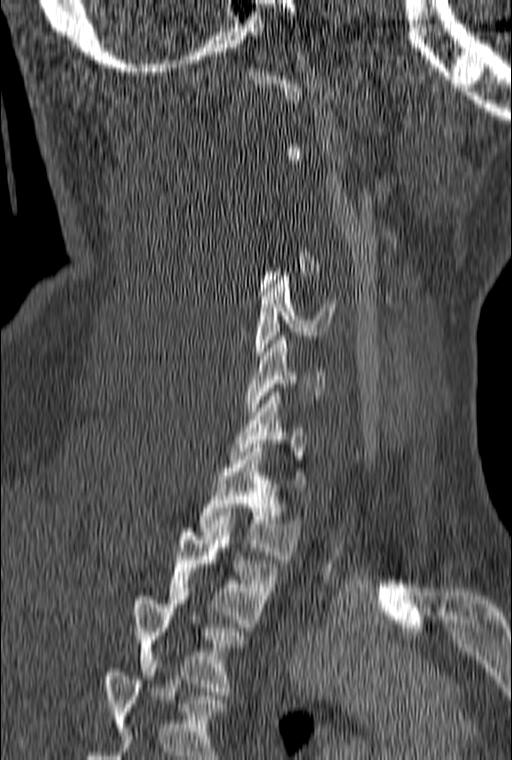 CT, spine — sagittal view — bone window — 512x760 px — 160 mm across the image
Not every vertebra on this slice has a box: a vertebra is boxed only from the first to the last slice where its cross-section is at least a third of its largest, and this slice is outside that range for at least one of them.
This scan's labels start at C1 at the top and end at T3 at the bottom.
<vertebrae><v name="T3" x1="132" y1="592" x2="243" y2="691"/><v name="T2" x1="168" y1="520" x2="275" y2="627"/><v name="T1" x1="198" y1="444" x2="301" y2="559"/><v name="C6" x1="247" y1="336" x2="325" y2="411"/><v name="C5" x1="256" y1="272" x2="335" y2="355"/></vertebrae>